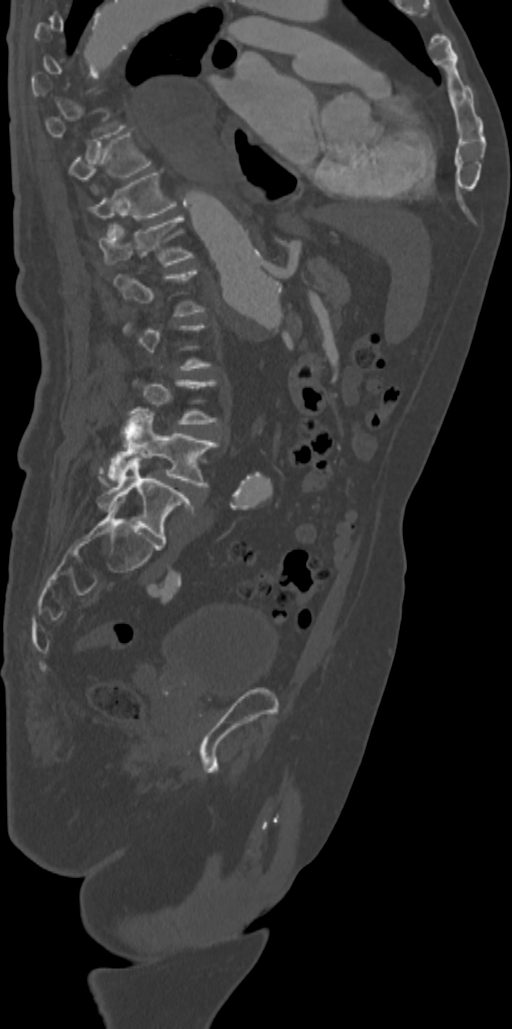
Spine CT; the image is 342 mm wide; sagittal view. Each box given as x1,y1,x2,y2.
A vertebra gets a box only on the slices from the first to the last where its cross-section is at least a third of its largest; on a slice outside that range it gets none.
| vertebra | x1 | y1 | x2 | y2 |
|---|---|---|---|---|
| L5 | 97 | 461 | 195 | 543 |
| L4 | 99 | 409 | 219 | 486 |
| L1 | 114 | 270 | 205 | 316 |
| T12 | 100 | 216 | 193 | 264 |
| T11 | 90 | 171 | 177 | 230 |
| T10 | 70 | 130 | 152 | 179 |